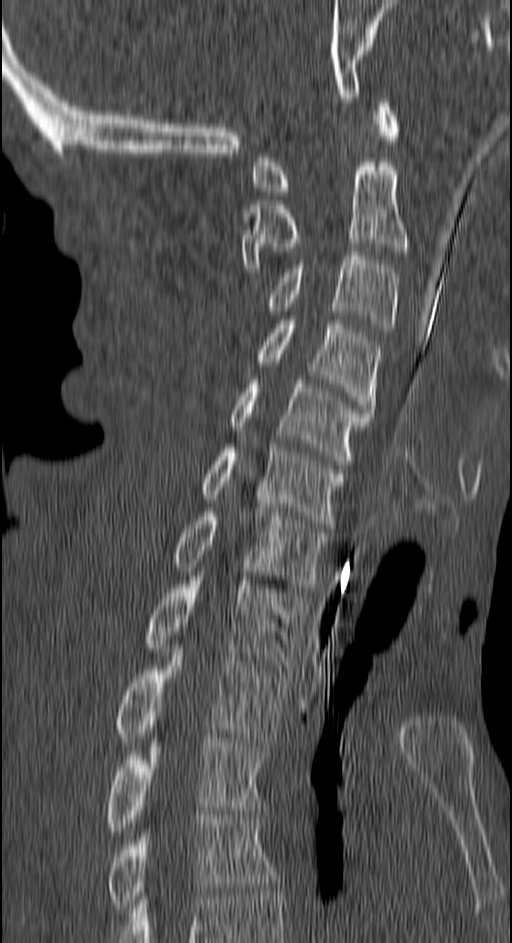
CT, spine. sagittal reformat. Bone window (WL 400, WW 1800). the image spans 150 mm across
Columns x1, y1, x2, y2 give each box's top-left and bottom-right pixels.
| vertebra | x1 | y1 | x2 | y2 |
|---|---|---|---|---|
| C1 | 254 | 98 | 400 | 195 |
| C2 | 240 | 162 | 406 | 272 |
| C3 | 264 | 252 | 396 | 332 |
| C4 | 254 | 320 | 379 | 413 |
| C5 | 230 | 380 | 372 | 464 |
| C6 | 199 | 448 | 345 | 528 |
| C7 | 172 | 508 | 331 | 588 |
| T1 | 145 | 576 | 305 | 669 |
| T2 | 114 | 644 | 288 | 746 |
| T3 | 104 | 738 | 263 | 835 |
| T4 | 107 | 815 | 277 | 912 |